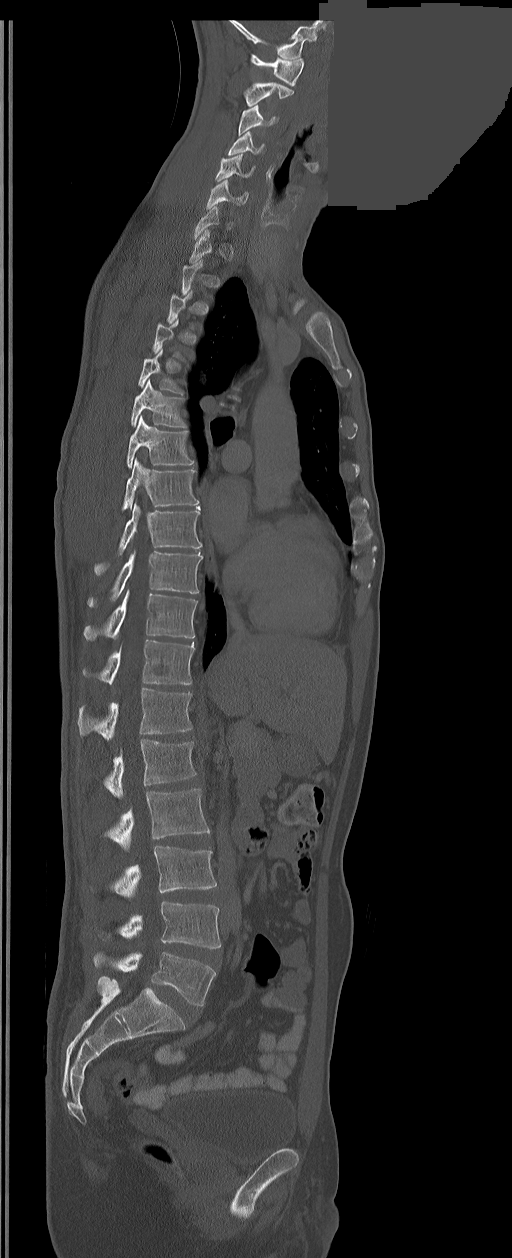
CT, spine — the image is 350 mm wide — sagittal view — 512x1258 px — a uniform gray block covers part of the image

Not every vertebra on this slice has a box: a vertebra is boxed only from the first to the last slice where its cross-section is at least a third of its largest, and this slice is outside that range for at least one of them.
The labels name a sixth lumbar vertebra for this spine: L6, after L5.
<vertebrae><v name="C1" x1="251" y1="54" x2="304" y2="86"/><v name="C2" x1="245" y1="82" x2="293" y2="106"/><v name="C3" x1="239" y1="104" x2="276" y2="134"/><v name="C4" x1="228" y1="132" x2="264" y2="154"/><v name="C5" x1="215" y1="155" x2="254" y2="181"/><v name="C6" x1="206" y1="180" x2="248" y2="208"/><v name="C7" x1="193" y1="206" x2="230" y2="239"/><v name="T5" x1="138" y1="348" x2="182" y2="393"/><v name="T6" x1="130" y1="379" x2="185" y2="426"/><v name="T7" x1="126" y1="415" x2="194" y2="467"/><v name="T8" x1="122" y1="458" x2="198" y2="510"/><v name="T9" x1="94" y1="503" x2="201" y2="574"/><v name="T10" x1="88" y1="552" x2="203" y2="606"/><v name="T11" x1="84" y1="590" x2="197" y2="640"/><v name="T12" x1="84" y1="639" x2="194" y2="684"/><v name="L1" x1="78" y1="688" x2="192" y2="739"/><v name="L2" x1="104" y1="739" x2="195" y2="798"/><v name="L3" x1="107" y1="789" x2="210" y2="851"/><v name="L4" x1="113" y1="846" x2="216" y2="897"/><v name="L5" x1="119" y1="901" x2="220" y2="949"/><v name="L6" x1="94" y1="953" x2="216" y2="1006"/></vertebrae>